Computed tomography of the spine; sagittal view; image 140 mm wide; W/L 1800/400 HU
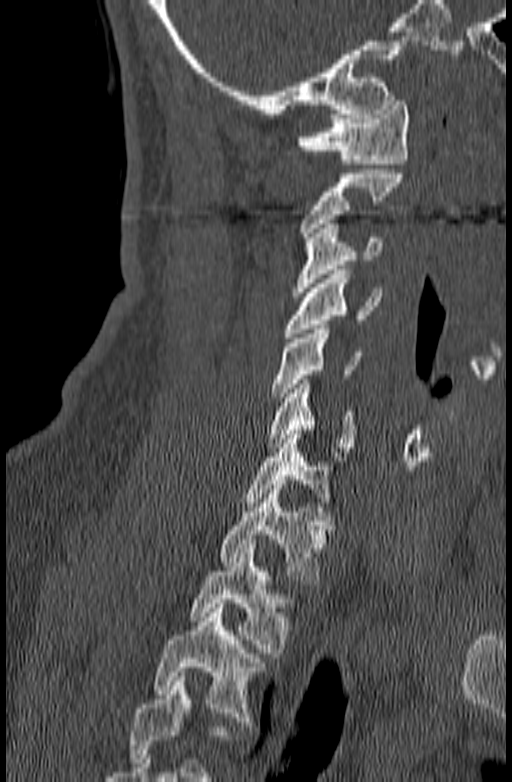

Columns x1, y1, x2, y2 give each box's top-left and bottom-right pixels.
Where the bottom of the scan cuts through a vertebra, that vertebra gets no label or box.
| vertebra | x1 | y1 | x2 | y2 |
|---|---|---|---|---|
| T3 | 154 | 603 | 263 | 726 |
| T2 | 190 | 544 | 295 | 657 |
| T1 | 221 | 485 | 334 | 584 |
| C7 | 243 | 430 | 333 | 506 |
| C6 | 267 | 379 | 355 | 452 |
| C5 | 271 | 325 | 360 | 401 |
| C4 | 284 | 270 | 382 | 337 |
| C3 | 291 | 224 | 381 | 296 |
| C2 | 300 | 169 | 403 | 241 |
| C1 | 297 | 96 | 409 | 164 |